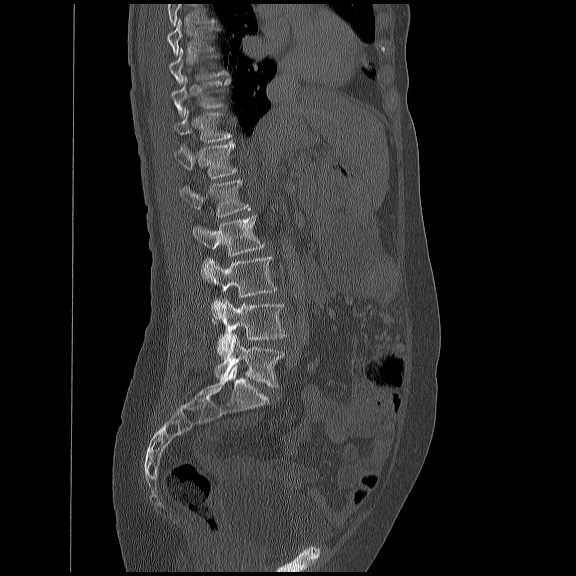
Spine CT — sagittal reformat — image width 450 mm

Boxes: x1:y1:x2:y2 in pixels.
A vertebra gets a box only on the slices from the first to the last where its cross-section is at least a third of its largest; on a slice outside that range it gets none.
No box is given to a vertebra that the top edge of the scan cuts off.
Vertebra bounding boxes:
- L5: 213:334:283:387
- L4: 216:297:286:356
- L3: 200:255:276:318
- L2: 192:215:263:254
- L1: 179:179:250:216
- T12: 172:140:235:178
- T11: 171:108:231:141
- T10: 170:75:229:115
- T8: 166:18:216:54